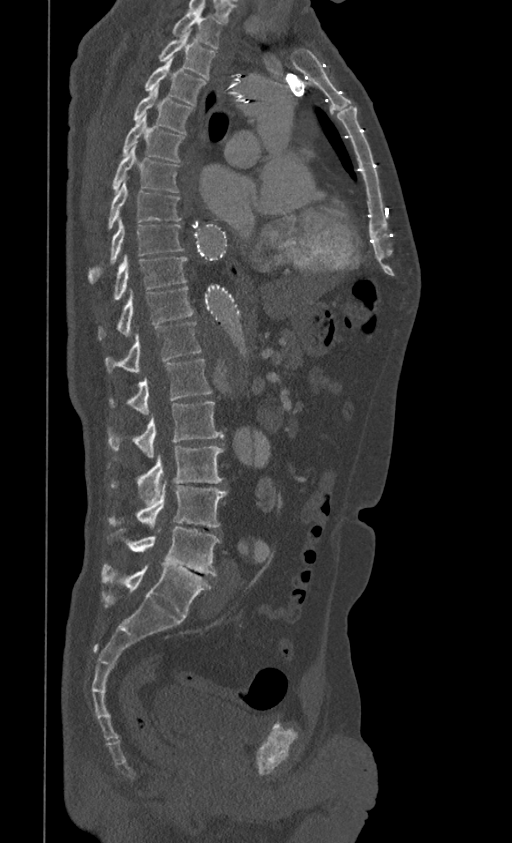

CT, spine; sagittal view; 399 mm across the image; bone window; 512x843 px
Boxes: x1 y1 x2 y2 (pixel coords, space-separated).
L5: 101 565 212 618
L4: 106 527 220 575
L3: 108 482 227 528
L2: 108 446 223 504
L1: 108 402 223 457
T12: 109 359 212 414
T11: 105 322 202 372
T10: 97 288 194 341
T9: 111 255 187 299
T8: 88 218 184 283
T7: 108 181 181 229
T6: 111 146 179 192
T5: 122 115 185 162
T4: 132 88 194 134
T3: 145 60 205 105
T2: 158 36 216 79
T1: 172 10 222 48